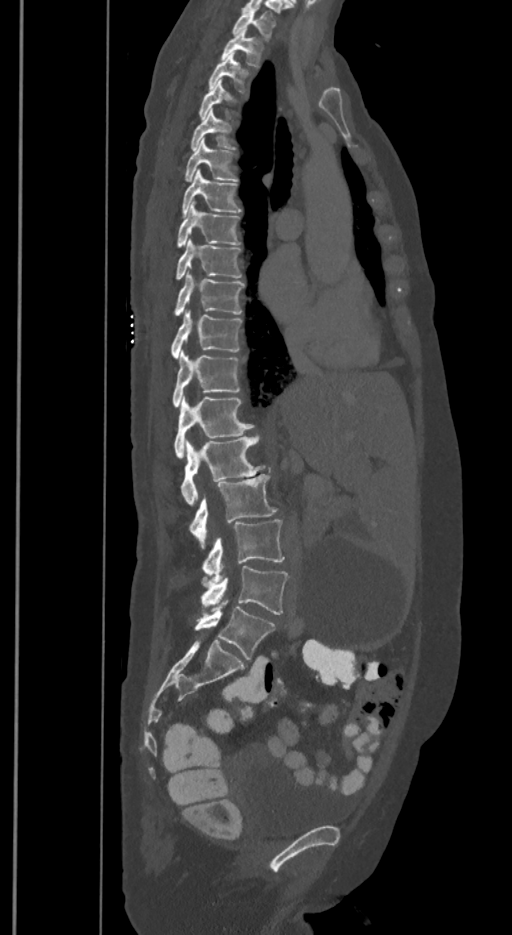

CT spine · sagittal view · 512x935 px

Each box is [x1, y1, x2, y2] in pixels: top-left corner, then bottom-right corner.
Each vertebra is boxed only on the slices from the first to the last where its cross-section reaches a third of its largest, so a slice outside that range leaves it unboxed.
In these labels the spine has an L6, a sixth lumbar vertebra below L5.
{"vertebrae":{"T1":[232,9,275,38],"T2":[221,29,262,65],"T3":[209,53,245,91],"T5":[191,109,230,150],"T6":[186,140,236,181],"T7":[183,170,240,218],"T8":[177,201,239,247],"T9":[177,238,242,278],"T10":[175,273,243,315],"T11":[171,311,242,358],"T12":[172,352,239,406],"L1":[174,396,253,457],"L2":[181,434,265,506],"L3":[190,474,277,549],"L4":[202,520,284,582],"L5":[200,566,288,614],"L6":[194,600,275,659]}}